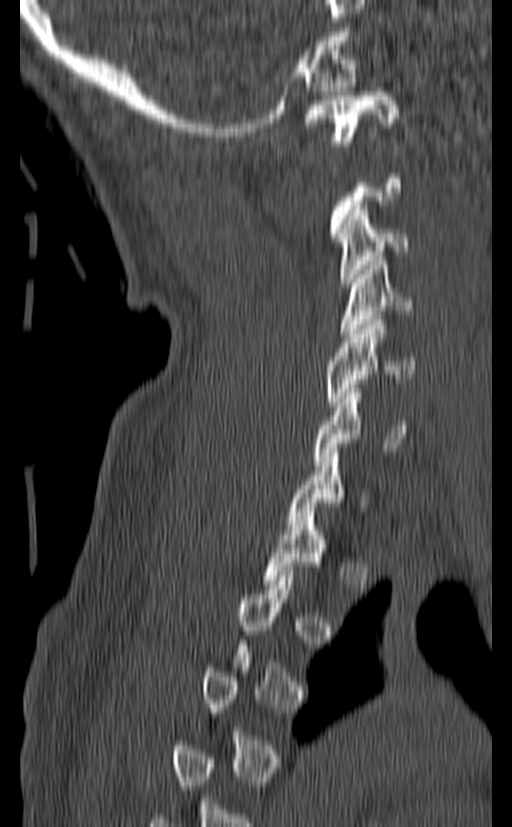
CT. sagittal view. bone window
Boxes: x1 y1 x2 y2 (pixel coords, space-separated).
Not every vertebra on this slice has a box: a vertebra is boxed only from the first to the last slice where its cross-section is at least a third of its largest, and this slice is outside that range for at least one of them.
C7: 287 448 368 529
C6: 313 384 414 465
C5: 327 320 415 406
C4: 341 261 412 337
C3: 336 206 408 287
C1: 304 91 399 145